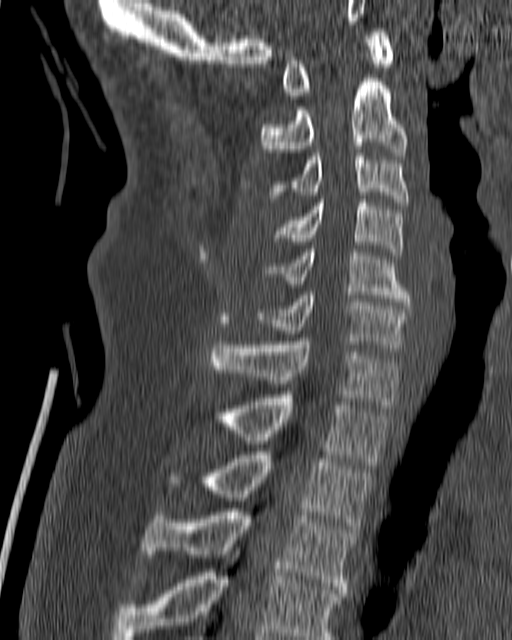

CT; sagittal view; W/L 1800/400 HU

Bounding boxes as [x1, y1, x2, y2] in pixel coordinates. 11 vertebrae labeled — T4 at [112, 555, 344, 639]; T3 at [143, 508, 355, 593]; T2 at [203, 452, 373, 532]; T1 at [215, 395, 390, 465]; C7 at [209, 338, 398, 408]; C6 at [254, 292, 410, 347]; C5 at [268, 249, 410, 305]; C4 at [274, 199, 404, 255]; C3 at [270, 153, 409, 205]; C2 at [261, 78, 407, 155]; C1 at [281, 28, 393, 95].